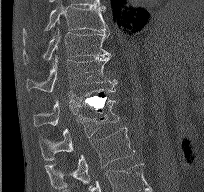

CT spine. sagittal view. 204x192 px. Box edges are left/top/right/bottom in pixels.
T9: left=23, top=5, right=109, bottom=41
T10: left=23, top=27, right=109, bottom=64
T11: left=26, top=54, right=117, bottom=92
T12: left=33, top=88, right=115, bottom=126
L1: left=39, top=99, right=119, bottom=158
L2: left=45, top=127, right=135, bottom=189